CT spine — sagittal view — 512x506 px
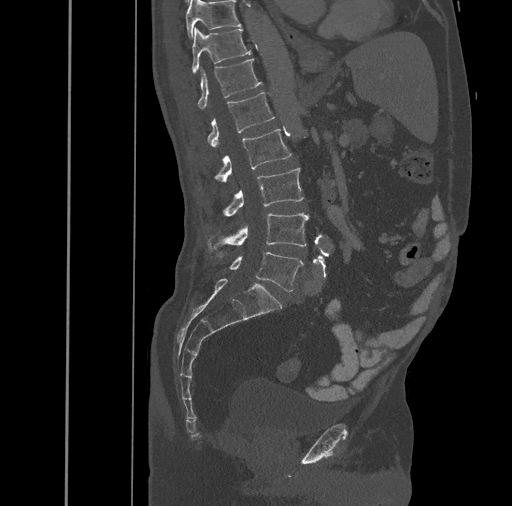 <vertebrae><v name="T10" x1="186" y1="0" x2="241" y2="37"/><v name="T11" x1="191" y1="27" x2="251" y2="73"/><v name="T12" x1="197" y1="58" x2="262" y2="108"/><v name="L1" x1="207" y1="92" x2="275" y2="147"/><v name="L2" x1="215" y1="128" x2="292" y2="182"/><v name="L3" x1="224" y1="168" x2="303" y2="216"/><v name="L4" x1="208" y1="213" x2="308" y2="255"/><v name="L5" x1="229" y1="252" x2="303" y2="291"/></vertebrae>